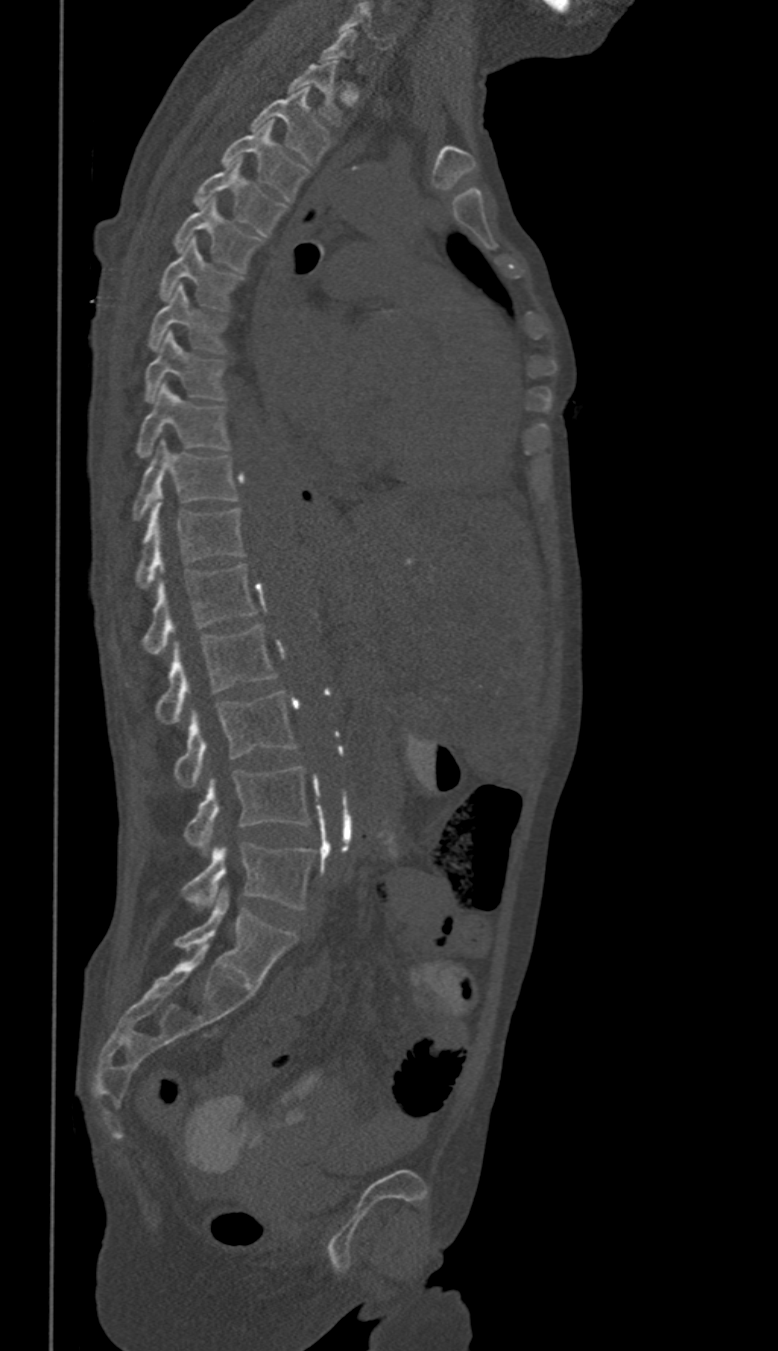

Spine computed tomography — sagittal view — 350 mm across the image

Boxes below are [x1, y1, x2, y2] in pixels.
Not every vertebra on this slice has a box: a vertebra is boxed only from the first to the last slice where its cross-section is at least a third of its largest, and this slice is outside that range for at least one of them.
In these labels the thoracic vertebrae end at T11, so L1 follows T11.
{"vertebrae":{"C6":[340,3,394,48],"T1":[289,60,341,124],"T2":[251,87,330,166],"T3":[222,123,307,202],"T4":[193,158,285,235],"T5":[173,198,263,271],"T6":[160,238,244,308],"T7":[146,285,227,353],"T8":[144,332,225,402],"T9":[135,385,230,457],"T10":[131,440,236,519],"T11":[134,496,244,588],"L1":[141,565,256,655],"L2":[155,625,277,724],"L3":[173,692,297,788],"L4":[184,767,310,853],"L5":[182,843,313,908]}}